Spine CT; sagittal view; 824x928 px
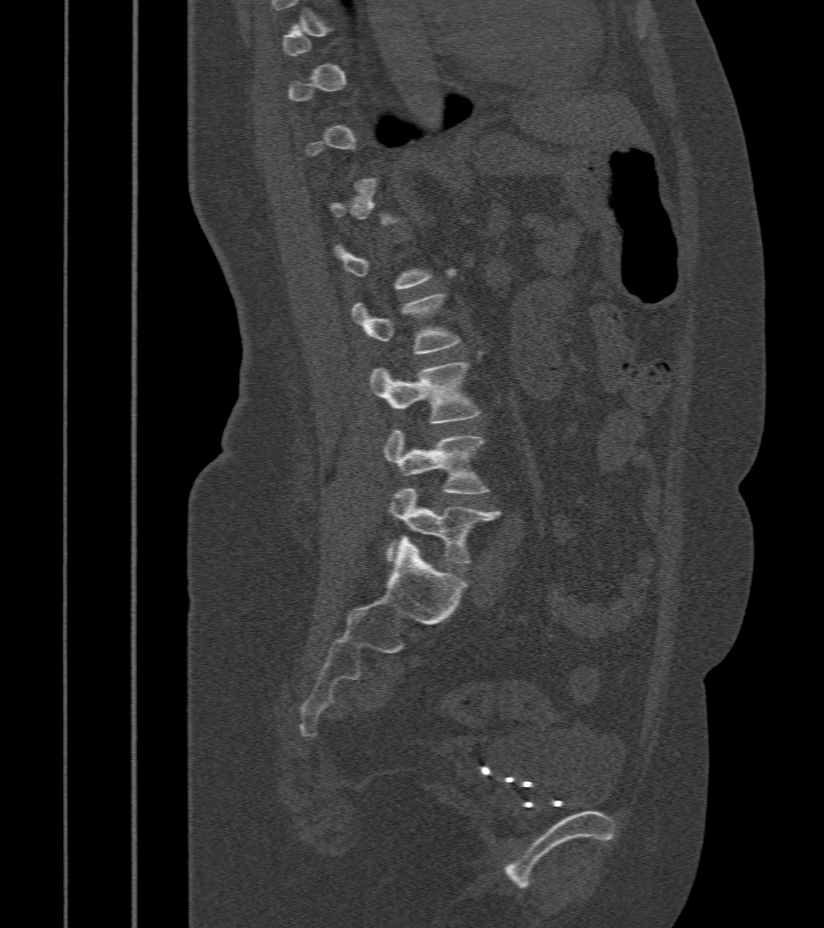
Each vertebra maps to its box as [x1, y1, x2, y2], the pixel coordinates of its top-left and bottom-right corners.
A vertebra gets a box only on the slices from the first to the last where its cross-section is at least a third of its largest; on a slice outside that range it gets none.
{"vertebrae":{"L2":[352,293,461,354],"L3":[370,361,480,424],"L4":[383,429,488,494],"L5":[388,489,500,566]}}